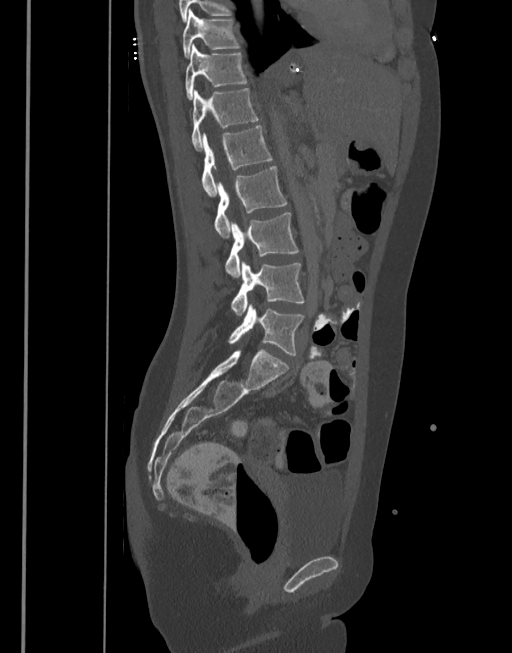
CT, spine; sagittal view
Each box given as x1,y1,x2,y2.
T10: x1=182, y1=10, x2=241, y2=58
T11: x1=185, y1=44, x2=247, y2=99
T12: x1=191, y1=88, x2=258, y2=151
L1: x1=201, y1=126, x2=272, y2=196
L2: x1=214, y1=166, x2=287, y2=237
L3: x1=225, y1=213, x2=299, y2=276
L4: x1=231, y1=262, x2=306, y2=316
L5: x1=228, y1=304, x2=304, y2=356